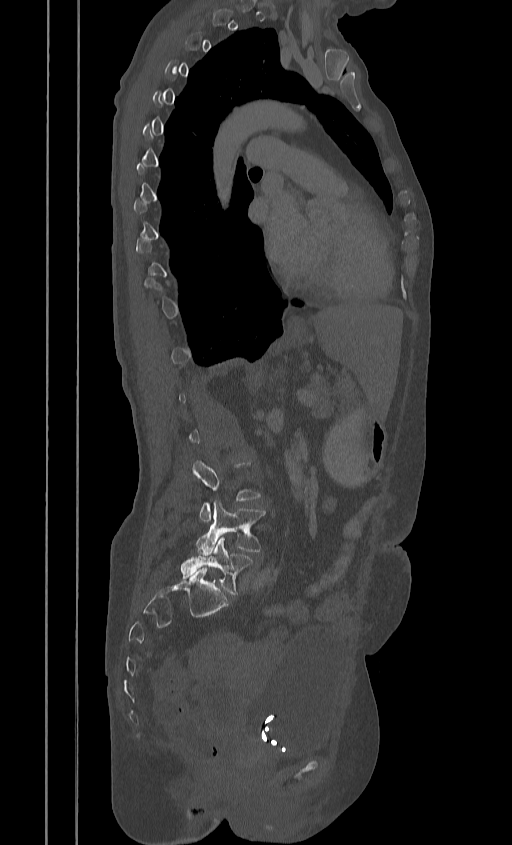 Spine computed tomography · sagittal view. Bounding boxes as [x1, y1, x2, y2] in pixel coordinates.
A vertebra is boxed only from the first to the last slice where its cross-section is at least a third of its largest; slices outside that range leave it without a box.
L4: [196, 501, 265, 555]
L5: [180, 536, 252, 594]